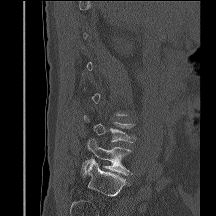 CT, spine. sagittal view
Box values are [left, top, right, bottom] in pixels.
Not every vertebra on this slice has a box: a vertebra is boxed only from the first to the last slice where its cross-section is at least a third of its largest, and this slice is outside that range for at least one of them.
{"vertebrae":{"L4":[84,115,135,142],"L5":[82,138,131,176]}}